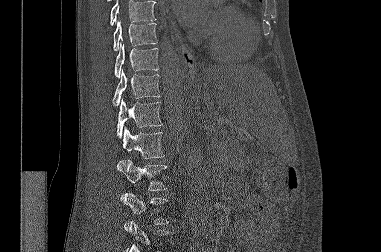

CT. sagittal view. Bone window (WL 400, WW 1800)
Boxes: x1 y1 x2 y2 (pixel coords, space-separated).
No box is given to a vertebra that the top or bottom edge of the scan cuts off.
T9: 113 20 157 50
T10: 114 41 158 77
T11: 113 69 160 106
T12: 116 98 162 138
L1: 122 127 164 158
L2: 116 159 166 190
L3: 120 192 168 224